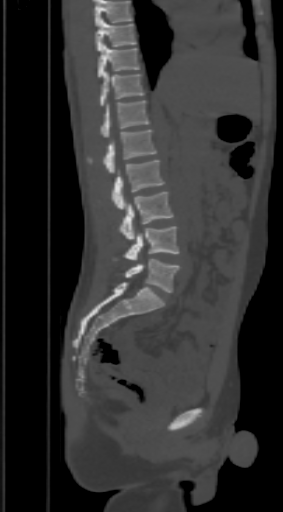

CT, spine — sagittal view — W/L 1800/400 HU
Boxes are (x1, y1, x2, y2) in pixels.
Vertebrae that run past the top of the scan are left unlabeled.
T9: (95, 18, 136, 51)
T10: (98, 45, 139, 77)
T11: (101, 72, 145, 106)
T12: (101, 101, 150, 137)
L1: (90, 129, 156, 173)
L2: (112, 160, 164, 209)
L3: (118, 192, 173, 239)
L4: (123, 226, 178, 259)
L5: (123, 259, 178, 292)